CT; sagittal view; Bone window (WL 400, WW 1800); scan covers 18 annotated vertebrae
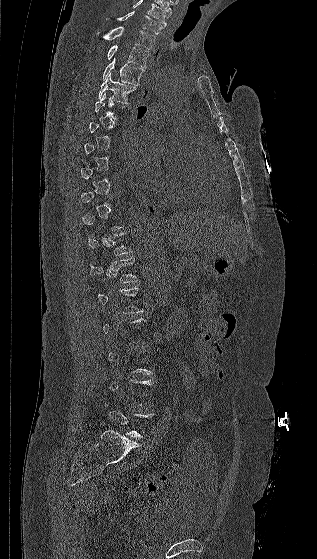
In the table, x1 and y1 are a box's top-left corner and x2 and y2 its bottom-right corner, in pixels.
Not every vertebra on this slice has a box: a vertebra is boxed only from the first to the last slice where its cross-section is at least a third of its largest, and this slice is outside that range for at least one of them.
The highest labeled vertebra in this scan is C7; the lowest is L5.
| vertebra | x1 | y1 | x2 | y2 |
|---|---|---|---|---|
| C7 | 106 | 11 | 163 | 34 |
| T1 | 96 | 26 | 155 | 49 |
| T2 | 107 | 45 | 149 | 67 |
| T3 | 102 | 58 | 144 | 86 |
| T4 | 98 | 74 | 136 | 103 |
| T12 | 90 | 257 | 139 | 282 |
| L5 | 104 | 402 | 154 | 438 |